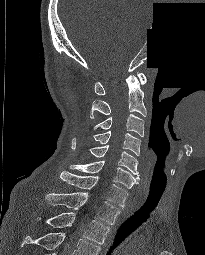

CT spine — sagittal view — bone window — a region is blanked to uniform black, ending in a straight edge
Coordinates as <box>x1,y1,x2,y2</box>. In this scan, the topmost labeled vertebra is C1 and the lowest is T2. 9 vertebrae labeled — T2 at <box>36,212,109,244</box>; T1 at <box>45,192,120,224</box>; C7 at <box>60,171,128,207</box>; C6 at <box>70,161,138,188</box>; C5 at <box>89,145,139,179</box>; C4 at <box>92,130,140,155</box>; C3 at <box>93,114,144,136</box>; C2 at <box>90,74,146,118</box>; C1 at <box>94,72,146,94</box>.